CT, spine · sagittal view
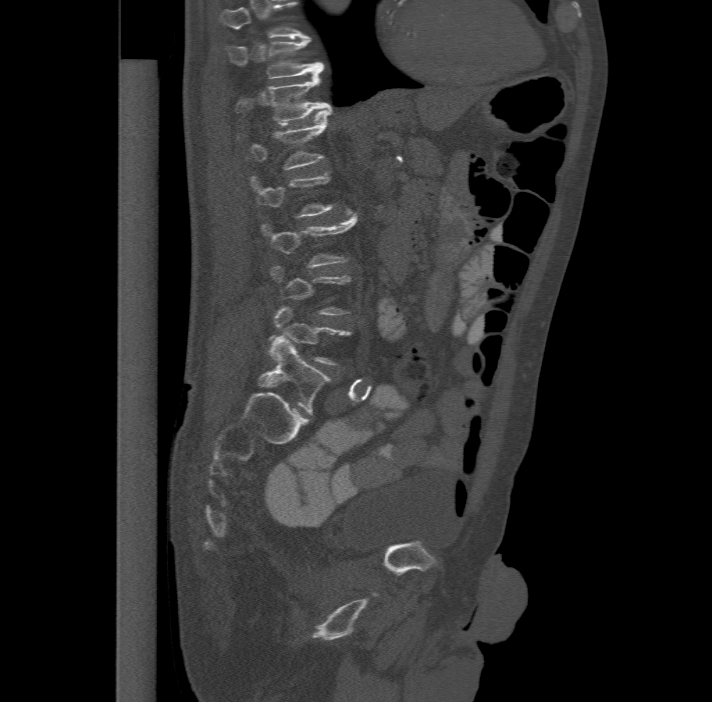

Each box given as x1,y1,x2,y2.
Not every vertebra on this slice has a box: a vertebra is boxed only from the first to the last slice where its cross-section is at least a third of its largest, and this slice is outside that range for at least one of them.
In this scan, the topmost labeled vertebra is T11 and the lowest is L6.
In these labels the spine has an L6, a sixth lumbar vertebra below L5.
| vertebra | x1 | y1 | x2 | y2 |
|---|---|---|---|---|
| T11 | 225 | 37 | 323 | 78 |
| T12 | 236 | 71 | 330 | 124 |
| L1 | 249 | 109 | 330 | 169 |
| L3 | 263 | 213 | 355 | 266 |
| L5 | 270 | 306 | 349 | 364 |
| L6 | 259 | 336 | 330 | 413 |